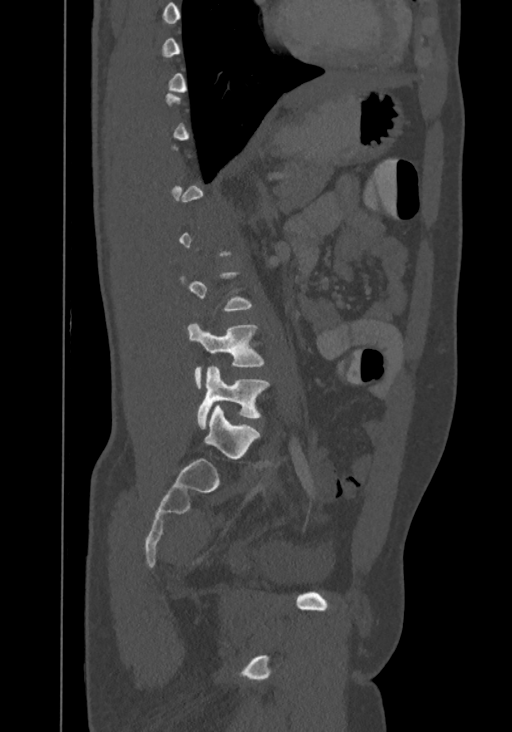 Computed tomography of the spine — sagittal view — 512x732 px
Each box given as x1,y1,x2,y2.
Each vertebra is boxed only on the slices from the first to the last where its cross-section reaches a third of its largest, so a slice outside that range leaves it unboxed.
In this scan, the topmost labeled vertebra is T8 and the lowest is L4.
Vertebra bounding boxes:
- L4: x1=197, y1=367, x2=269, y2=428
- L3: x1=187, y1=324, x2=264, y2=388